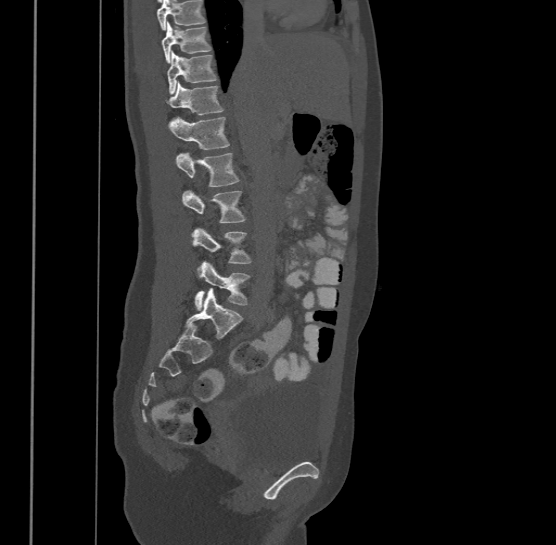
Computed tomography of the spine; image width 500 mm; sagittal view; 556x545 px
Coordinates as <box>x1,y1,x2,y2</box>.
Vertebrae that run past the top of the scan are left unlabeled.
This scan's labels start at T9 at the top and end at L4 at the bottom.
Vertebra bounding boxes:
- L4: <box>193,260,249,310</box>
- L3: <box>191,226,251,263</box>
- L2: <box>182,188,244,222</box>
- L1: <box>176,152,239,186</box>
- T12: <box>167,116,229,149</box>
- T11: <box>166,81,224,115</box>
- T10: <box>167,51,217,93</box>
- T9: <box>161,21,212,62</box>